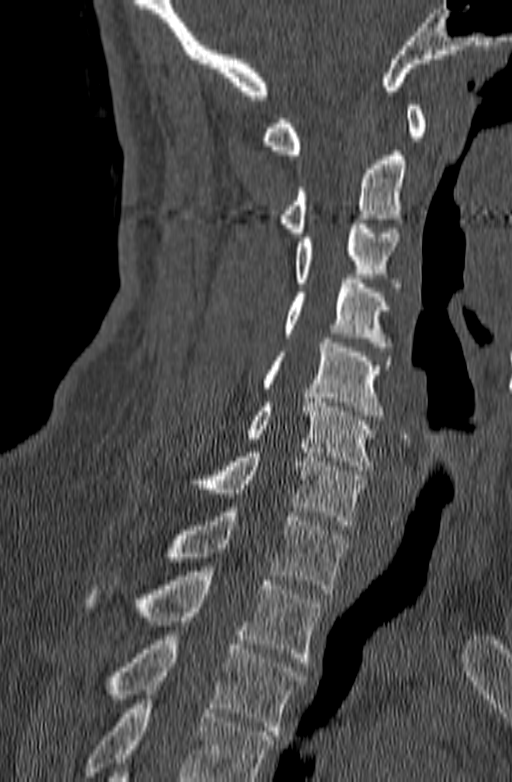 CT spine · sagittal view · W/L 1800/400 HU · 512x782 px
Each box is [x1, y1, x2, y2] in pixels: top-left corner, then bottom-right corner.
Where the bottom of the scan cuts through a vertebra, that vertebra gets no label or box.
{"vertebrae":{"C1":[261,105,425,159],"C2":[279,151,406,237],"C3":[295,219,400,287],"C4":[283,279,392,351],"C5":[262,338,391,420],"C6":[246,398,375,470],"C7":[145,448,362,525],"T1":[165,507,348,593],"T2":[85,571,322,662],"T3":[112,631,305,735]}}